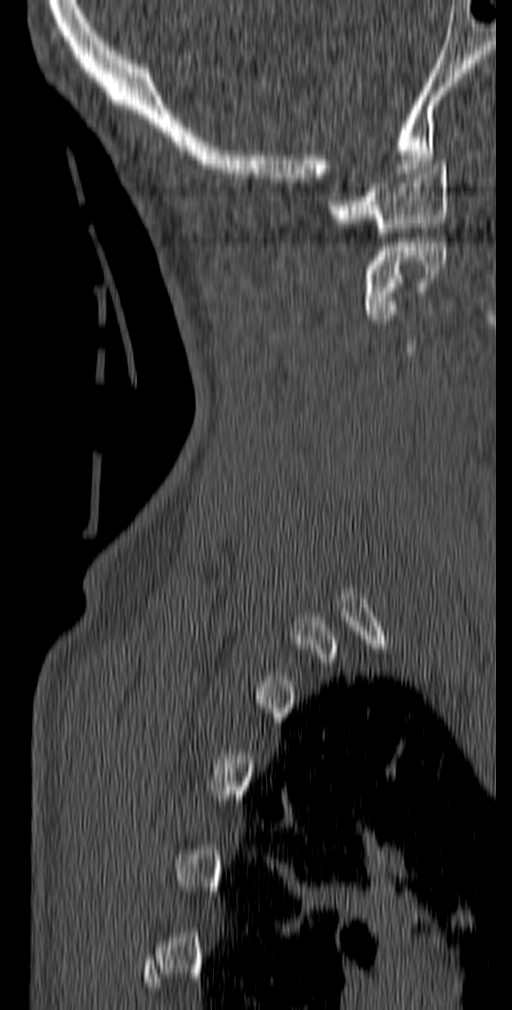 CT — sagittal view — bone window. Box edges are left/top/right/bottom in pixels.
| vertebra | x1 | y1 | x2 | y2 |
|---|---|---|---|---|
| C1 | 328 | 160 | 447 | 237 |
| C2 | 363 | 242 | 447 | 319 |